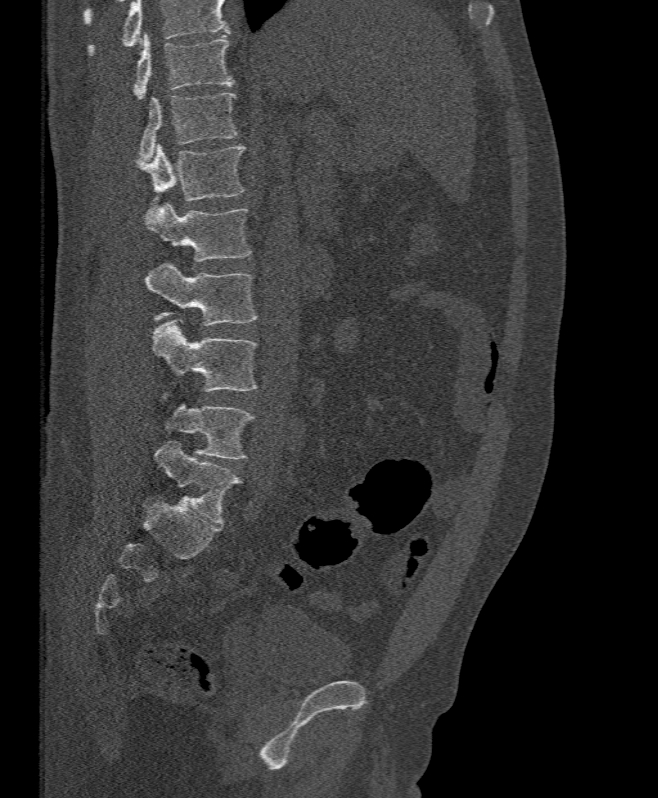
CT spine — sagittal view — W/L 1800/400 HU — 658x798 px
Boxes are (x1, y1, x2, y2) in pixels.
Vertebrae that run past the top of the scan are left unlabeled.
T11: (134, 33, 234, 99)
T12: (139, 93, 237, 161)
L1: (136, 143, 246, 201)
L2: (143, 202, 251, 261)
L3: (145, 263, 257, 326)
L4: (152, 318, 257, 391)
L5: (161, 394, 254, 459)